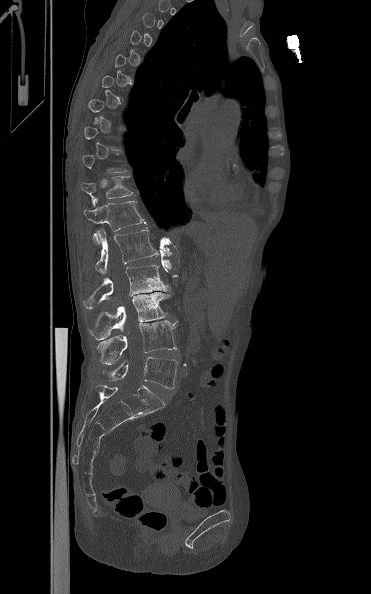 Spine CT — sagittal reformat — bone window — 371 mm wide
Each box given as x1,y1,x2,y2.
A vertebra is boxed only from the first to the last slice where its cross-section is at least a third of its largest; slices outside that range leave it without a box.
T11: x1=81, y1=176, x2=133, y2=206
T12: x1=84, y1=201, x2=146, y2=244
L1: x1=95, y1=227, x2=158, y2=273
L2: x1=83, y1=265, x2=169, y2=309
L3: x1=89, y1=292, x2=169, y2=339
L4: x1=97, y1=320, x2=178, y2=364
L5: x1=107, y1=357, x2=177, y2=388